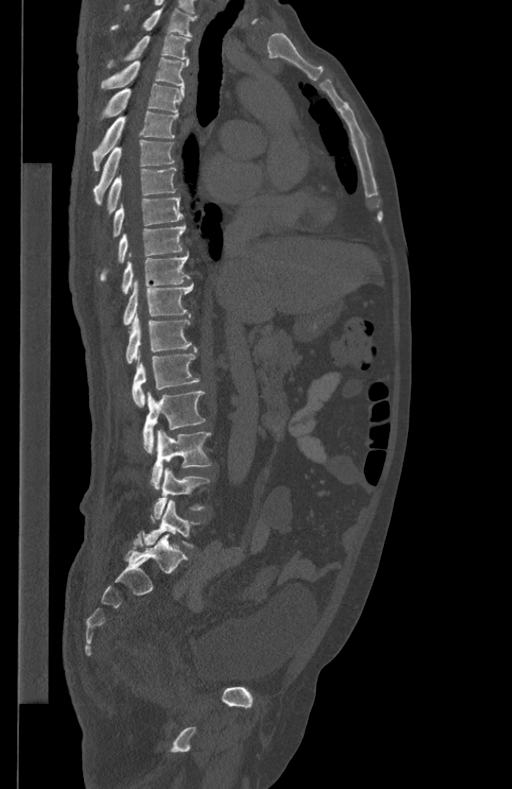 Computed tomography of the spine; the image is 434 mm wide; sagittal view; 512x789 px

Coordinates as <box>x1,y1,x2,y2</box>. The labeled vertebrae in this slice are: T1 at <box>111,6,196,36</box>, T2 at <box>107,34,190,67</box>, T3 at <box>100,57,188,89</box>, T4 at <box>98,84,184,121</box>, T5 at <box>92,110,178,170</box>, T6 at <box>93,140,175,205</box>, T7 at <box>108,167,176,213</box>, T8 at <box>113,196,183,236</box>, T9 at <box>100,224,185,279</box>, T10 at <box>121,254,190,293</box>, T11 at <box>124,279,194,324</box>, T12 at <box>126,312,191,363</box>, L1 at <box>132,347,199,407</box>, L2 at <box>143,392,204,451</box>, L3 at <box>151,429,210,488</box>, L4 at <box>150,468,209,521</box>, L5 at <box>144,500,197,546</box>.